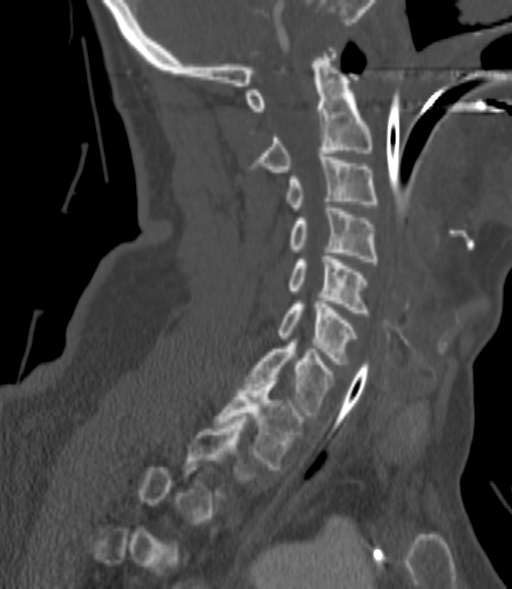 Spine CT — sagittal view — bone-window reconstruction — 512x589 px. Box edges are left/top/right/bottom in pixels.
A vertebra gets a box only on the slices from the first to the last where its cross-section is at least a third of its largest; on a slice outside that range it gets none.
C2: left=252, top=48, right=371, bottom=172
C3: left=285, top=157, right=376, bottom=210
C4: left=290, top=205, right=379, bottom=261
C5: left=288, top=253, right=368, bottom=313
C6: left=277, top=301, right=356, bottom=364
C7: left=247, top=339, right=333, bottom=415
T1: left=216, top=378, right=302, bottom=469